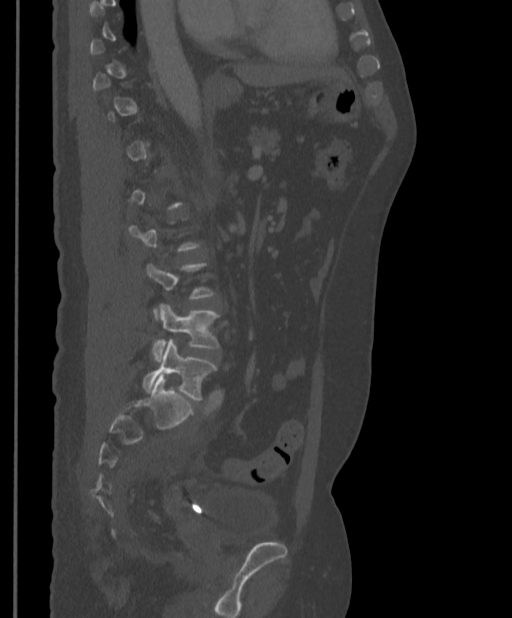 CT, spine · sagittal view
Each vertebra maps to its box as [x1, y1, x2, y2], the pixel coordinates of its top-left and bottom-right corners.
Not every vertebra on this slice has a box: a vertebra is boxed only from the first to the last slice where its cross-section is at least a third of its largest, and this slice is outside that range for at least one of them.
{"vertebrae":{"L4":[152,304,219,361],"L5":[142,339,217,400]}}